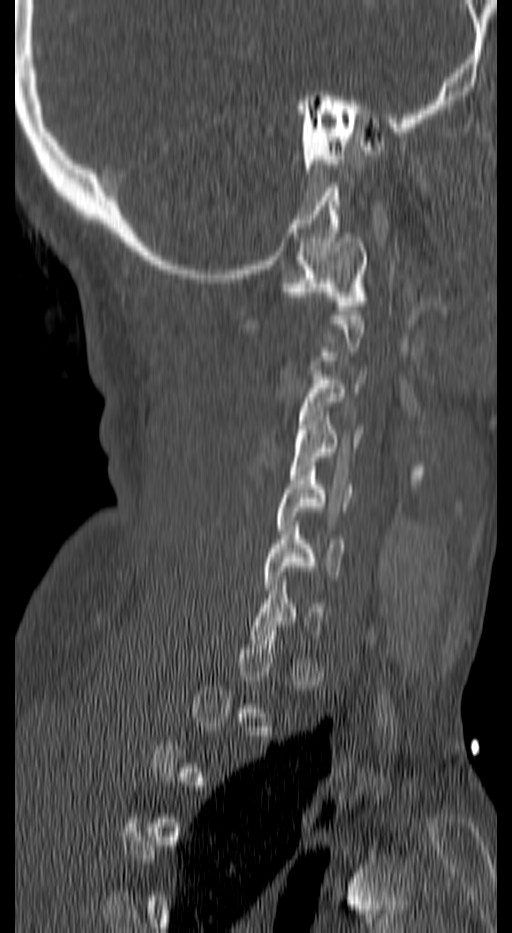 Spine CT; 140 mm across the image; sagittal view; bone-window reconstruction; 512x933 px
In the table, x1 and y1 are a box's top-left corner and x2 and y2 its bottom-right corner, in pixels.
A vertebra is boxed only from the first to the last slice where its cross-section is at least a third of its largest; slices outside that range leave it without a box.
| vertebra | x1 | y1 | x2 | y2 |
|---|---|---|---|---|
| C1 | 283 | 233 | 366 | 314 |
| C3 | 298 | 370 | 366 | 438 |
| C4 | 290 | 411 | 362 | 479 |
| C5 | 276 | 466 | 351 | 534 |
| C6 | 265 | 521 | 344 | 593 |
| C7 | 250 | 581 | 326 | 644 |